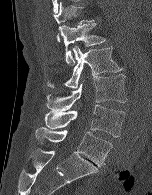

Spine computed tomography; the image is 152 mm wide; sagittal view; bone-window reconstruction
Each box given as x1,y1,x2,y2.
T12: x1=54, y1=2, x2=95, y2=42
L1: x1=59, y1=23, x2=106, y2=65
L2: x1=46, y1=46, x2=122, y2=88
L3: x1=46, y1=74, x2=127, y2=111
L4: x1=44, y1=105, x2=125, y2=137
L5: x1=35, y1=127, x2=112, y2=166